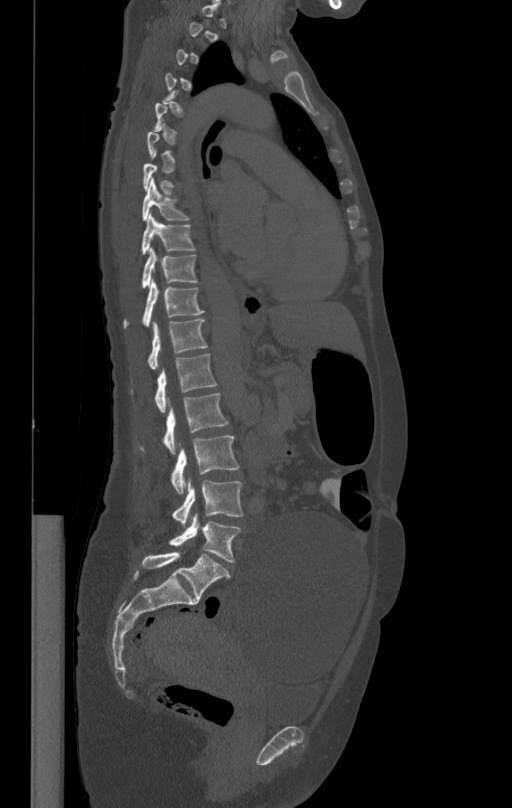

Computed tomography of the spine · sagittal reformat · W/L 1800/400 HU
Bounding boxes as [x1, y1, x2, y2] in pixel coordinates.
A vertebra gets a box only on the slices from the first to the last where its cross-section is at least a third of its largest; on a slice outside that range it gets none.
Vertebra bounding boxes:
- T8: [142, 180, 190, 220]
- T9: [141, 214, 195, 255]
- T10: [142, 248, 198, 288]
- T11: [123, 280, 204, 328]
- T12: [148, 318, 208, 369]
- L1: [130, 353, 218, 413]
- L2: [138, 393, 229, 453]
- L3: [170, 435, 239, 493]
- L4: [171, 480, 244, 524]
- L5: [168, 513, 241, 562]